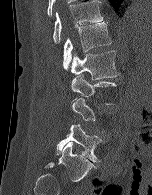 CT · the image is 152 mm wide · sagittal view · 152x195 px

Each vertebra maps to its box as [x1, y1, x2, y2], the pixel coordinates of its top-left and bottom-right corners.
Each vertebra is boxed only on the slices from the first to the last where its cross-section reaches a third of its largest, so a slice outside that range leaves it unboxed.
{"vertebrae":{"T12":[53,0,103,43],"L1":[62,21,111,70],"L2":[70,50,119,79],"L3":[71,74,116,104],"L5":[56,124,102,162]}}